CT, spine — sagittal reformat — bone window — 512x700 px
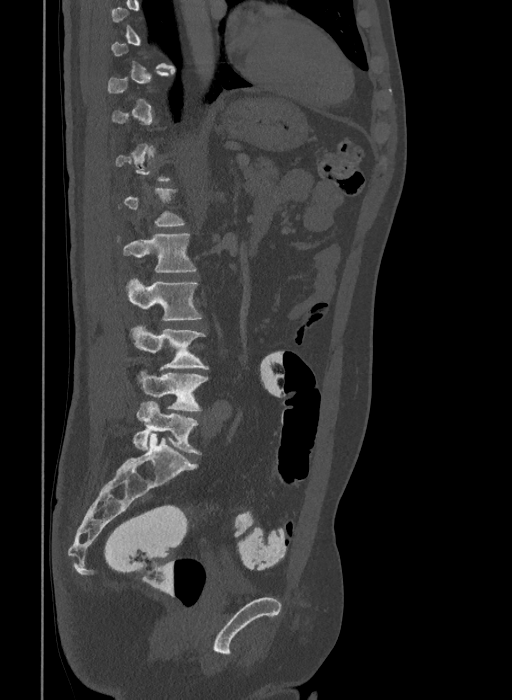
Each box given as x1,y1,x2,y2.
A vertebra gets a box only on the slices from the first to the last where its cross-section is at least a third of its largest; on a slice outside that range it gets none.
In these labels the spine has an L6, a sixth lumbar vertebra below L5.
| vertebra | x1 | y1 | x2 | y2 |
|---|---|---|---|---|
| L6 | 133 | 401 | 202 | 454 |
| L5 | 139 | 371 | 208 | 411 |
| L4 | 131 | 326 | 208 | 370 |
| L3 | 125 | 278 | 202 | 321 |
| L2 | 118 | 233 | 197 | 272 |